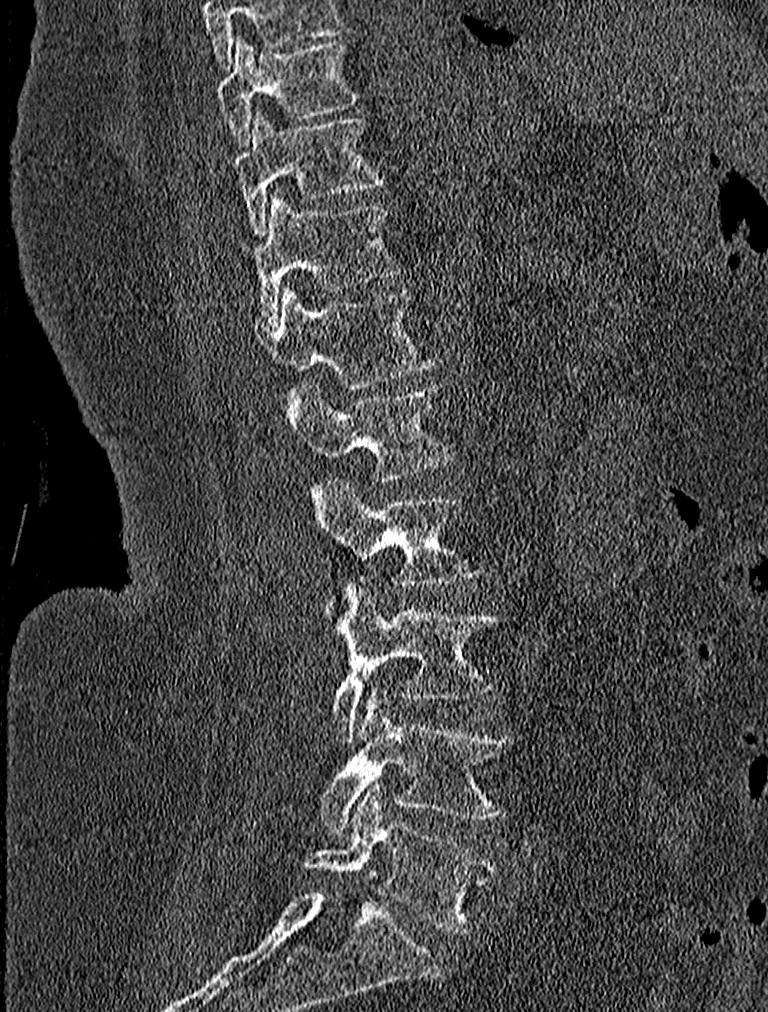

Spine CT · sagittal reformat
Box edges are left/top/right/bottom in pixels. Labels in this scan begin with T9 at the top and end with L5 at the bottom. Vertebrae labeled: T9 at left=219, top=35, right=360, bottom=147, T10 at left=231, top=110, right=384, bottom=237, T11 at left=254, top=190, right=400, bottom=323, T12 at left=260, top=285, right=438, bottom=401, L1 at left=290, top=382, right=455, bottom=480, L2 at left=310, top=477, right=485, bottom=613, L3 at left=330, top=580, right=499, bottom=742, L4 at left=320, top=688, right=515, bottom=833, L5 at left=303, top=783, right=499, bottom=932.